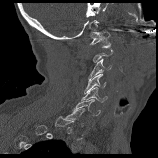

Spine CT · sagittal view · Bone window (WL 400, WW 1800)
Each box given as x1,y1,x2,y2. A vertebra gets a box only on the slices from the first to the last where its cross-section is at least a third of its largest; on a slice outside that range it gets none. 6 vertebrae labeled — C1 at x1=89, y1=30, x2=110, y2=47; C3 at x1=88, y1=58, x2=111, y2=79; C4 at x1=84, y1=74, x2=106, y2=94; C5 at x1=80, y1=87, x2=108, y2=102; C6 at x1=72, y1=99, x2=100, y2=115; C7 at x1=65, y1=108, x2=84, y2=126.